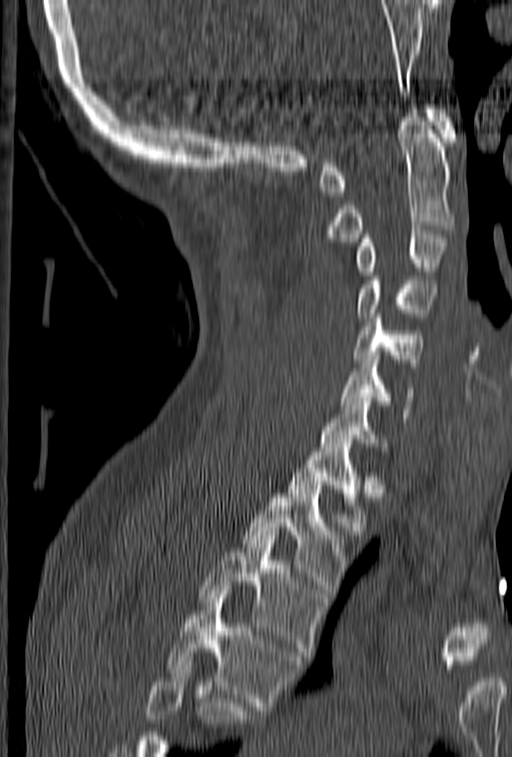

CT, spine. sagittal reformat. Coordinates as <box>x1,y1,x2,y2</box>. A vertebra cut off by the bottom edge of the scan is not labeled and has no box. 11 vertebrae labeled — C1 at <box>319,105,456,196</box>; C2 at <box>326,109,456,242</box>; C3 at <box>356,230,449,275</box>; C4 at <box>356,264,435,317</box>; C5 at <box>353,310,423,367</box>; C6 at <box>339,356,414,421</box>; C7 at <box>319,389,388,451</box>; T1 at <box>287,443,366,530</box>; T2 at <box>242,485,347,597</box>; T3 at <box>198,531,328,660</box>; T4 at <box>166,590,303,714</box>.